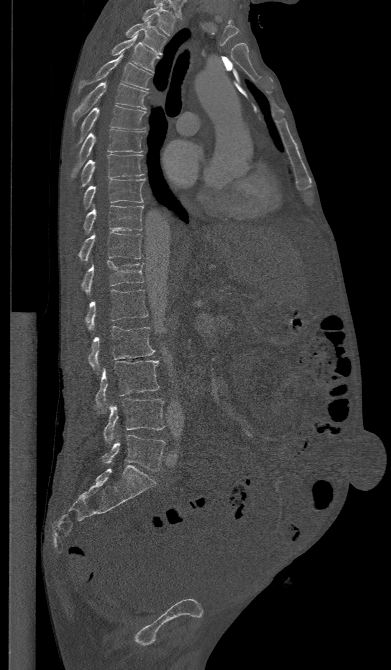 CT, spine · sagittal view · 391x670 px. Each box given as x1,y1,x2,y2.
Vertebra bounding boxes:
- T1: x1=141, y1=3, x2=175, y2=35
- T2: x1=126, y1=18, x2=166, y2=54
- T3: x1=111, y1=34, x2=159, y2=71
- T4: x1=78, y1=53, x2=152, y2=90
- T5: x1=72, y1=82, x2=147, y2=123
- T6: x1=76, y1=106, x2=145, y2=145
- T7: x1=71, y1=129, x2=145, y2=177
- T8: x1=79, y1=154, x2=143, y2=187
- T9: x1=83, y1=179, x2=144, y2=209
- T10: x1=83, y1=204, x2=143, y2=233
- T11: x1=78, y1=232, x2=142, y2=260
- T12: x1=81, y1=260, x2=144, y2=293
- L1: x1=85, y1=289, x2=148, y2=329
- L2: x1=88, y1=326, x2=154, y2=371
- L3: x1=94, y1=360, x2=159, y2=412
- L4: x1=103, y1=398, x2=164, y2=443
- L5: x1=101, y1=435, x2=165, y2=470